CT · sagittal view · bone-window reconstruction
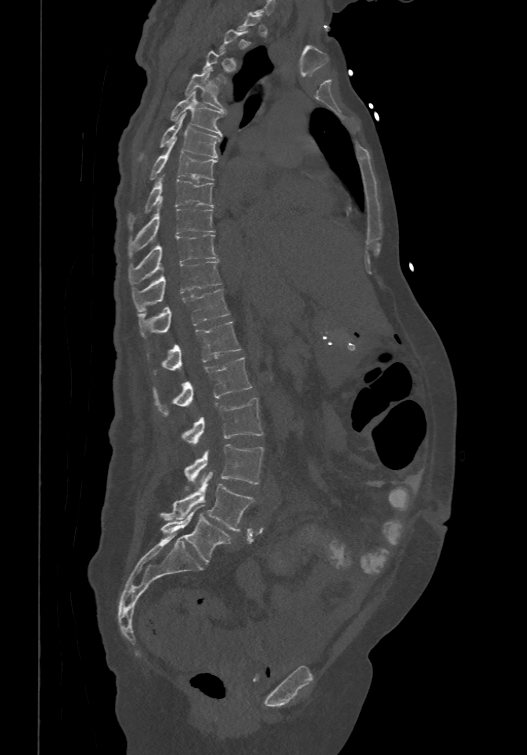

A vertebra is boxed only from the first to the last slice where its cross-section is at least a third of its largest; slices outside that range leave it without a box.
The labels name a sixth lumbar vertebra for this spine: L6, after L5.
<vertebrae><v name="T4" x1="185" y1="68" x2="225" y2="110"/><v name="T5" x1="171" y1="90" x2="223" y2="134"/><v name="T6" x1="139" y1="113" x2="221" y2="159"/><v name="T7" x1="150" y1="142" x2="217" y2="179"/><v name="T8" x1="128" y1="174" x2="213" y2="227"/><v name="T9" x1="128" y1="198" x2="215" y2="256"/><v name="T10" x1="129" y1="234" x2="217" y2="284"/><v name="T11" x1="132" y1="260" x2="221" y2="311"/><v name="T12" x1="139" y1="288" x2="229" y2="336"/><v name="L1" x1="153" y1="321" x2="241" y2="373"/><v name="L2" x1="153" y1="356" x2="252" y2="415"/><v name="L3" x1="182" y1="397" x2="262" y2="444"/><v name="L4" x1="184" y1="444" x2="263" y2="484"/><v name="L5" x1="161" y1="472" x2="254" y2="531"/><v name="L6" x1="160" y1="505" x2="231" y2="562"/></vertebrae>